Spine computed tomography — the image is 340 mm wide — sagittal view — bone-window reconstruction
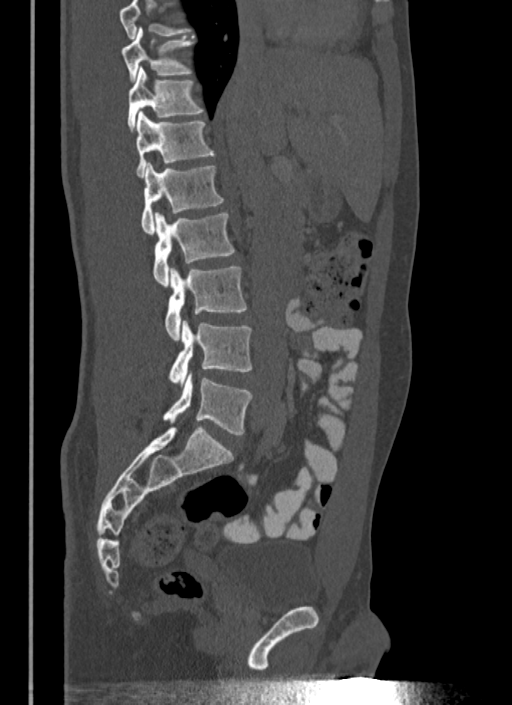
Boxes below are [x1, y1, x2, y2] in pixels.
No box is given to a vertebra that the top edge of the scan cuts off.
{"vertebrae":{"T10":[122,27,193,80],"T11":[128,66,204,130],"T12":[135,111,214,177],"L1":[141,163,223,234],"L2":[153,212,235,287],"L3":[165,267,247,339],"L4":[168,321,252,386],"L5":[162,372,252,434]}}